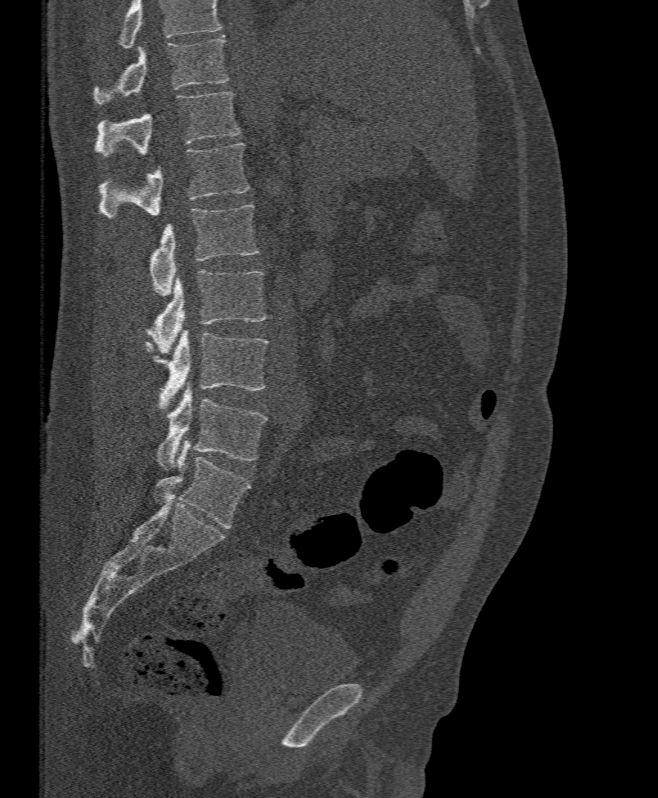 CT spine · sagittal view · bone window
Box edges are left/top/right/bottom in pixels.
No box is given to a vertebra that the top edge of the scan cuts off.
| vertebra | x1 | y1 | x2 | y2 |
|---|---|---|---|---|
| L5 | 157 | 383 | 268 | 469 |
| L4 | 145 | 328 | 269 | 412 |
| L3 | 148 | 270 | 265 | 354 |
| L2 | 150 | 205 | 259 | 296 |
| L1 | 100 | 143 | 248 | 217 |
| T12 | 95 | 92 | 241 | 156 |
| T11 | 93 | 36 | 229 | 104 |